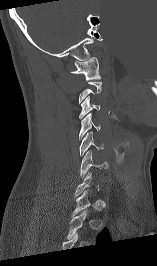
Computed tomography of the spine. 157 mm across the image. sagittal view. some of the image was removed or blocked out with constant pixels
Each vertebra maps to its box as [x1, y1, x2, y2], the pixel coordinates of its top-left and bottom-right corners.
Each vertebra is boxed only on the slices from the first to the last where its cross-section reaches a third of its largest, so a slice outside that range leaves it unboxed.
{"vertebrae":{"C1":[70,57,101,80],"C3":[79,95,100,118],"C4":[79,112,100,139],"C5":[79,131,103,156],"C6":[80,151,110,177],"C7":[75,172,99,196]}}